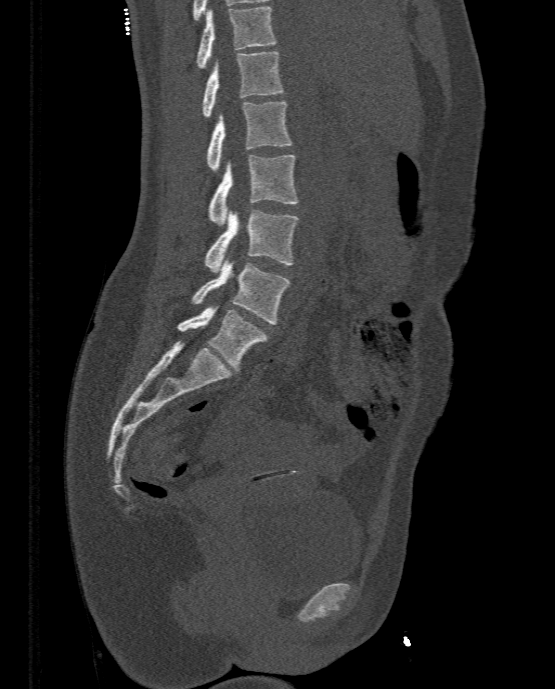

CT. sagittal view. W/L 1800/400 HU. 555x689 px

Each box given as x1,y1,x2,y2. The labeled vertebrae in this slice are: T11 at x1=196, y1=6, x2=276, y2=68, T12 at x1=202, y1=51, x2=284, y2=117, L1 at x1=206, y1=101, x2=292, y2=171, L2 at x1=208, y1=154, x2=297, y2=225, L3 at x1=204, y1=210, x2=298, y2=272, L4 at x1=192, y1=257, x2=291, y2=324, L5 at x1=178, y1=305, x2=267, y2=370.